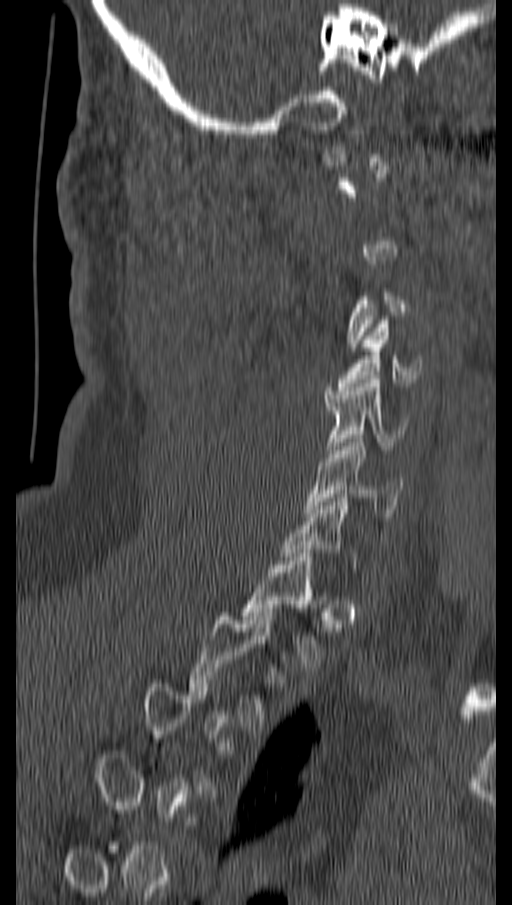
CT. sagittal view. Bone window (WL 400, WW 1800). 512x905 px
Each box given as x1,y1,x2,y2. A vertebra is boxed only from the first to the last slice where its cross-section is at least a third of its largest; slices outside that range leave it without a box. The labeled vertebrae in this slice are: C4 at x1=336, y1=320, x2=422, y2=390, C5 at x1=326, y1=379, x2=407, y2=453, C6 at x1=304, y1=435, x2=402, y2=513, T1 at x1=241, y1=553, x2=322, y2=667, T2 at x1=188, y1=612, x2=275, y2=726.